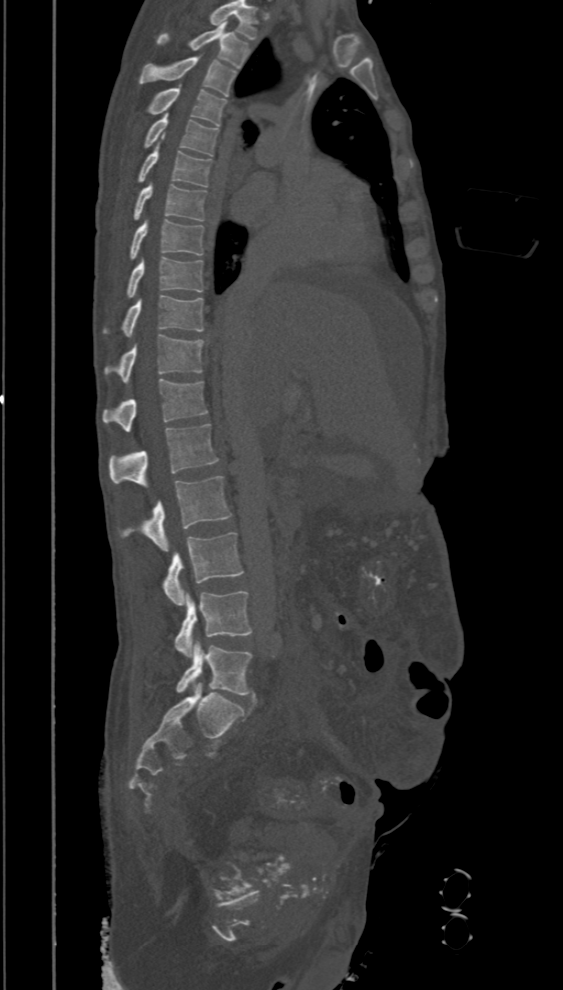

CT. sagittal view. bone window. 563x990 px
Each box is [x1, y1, x2, y2] in pixels: top-left corner, then bottom-right corner.
The highest labeled vertebra in this scan is T2; the lowest is L5.
{"vertebrae":{"T2":[157,22,251,68],"T3":[139,57,236,96],"T4":[148,87,225,126],"T5":[144,113,218,155],"T6":[139,143,211,186],"T7":[134,182,206,221],"T8":[130,219,203,259],"T9":[128,256,203,296],"T10":[104,295,203,336],"T11":[103,335,203,382],"T12":[102,379,208,432],"L1":[109,423,219,485],"L2":[120,476,232,551],"L3":[163,532,243,605],"L4":[174,592,252,657],"L5":[176,641,252,695]}}